CT spine · Sagittal slice 260/512 · the image spans 474 mm across · bone-window reconstruction
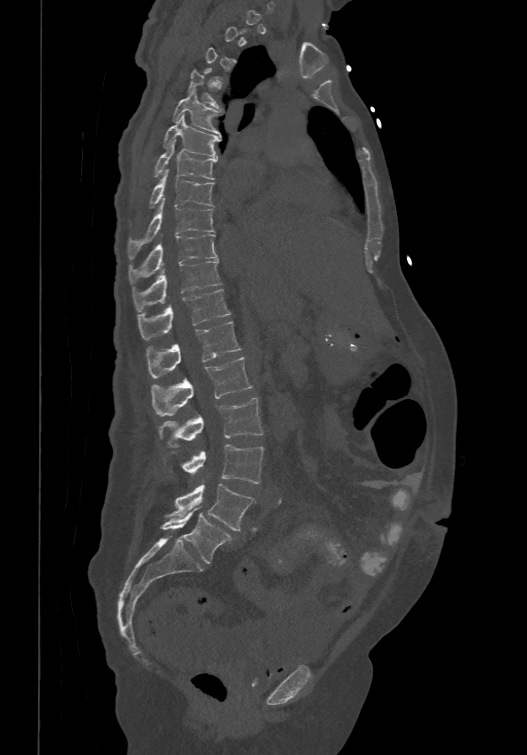

Each vertebra is boxed only on the slices from the first to the last where its cross-section reaches a third of its largest, so a slice outside that range leaves it unboxed.
The labels name a sixth lumbar vertebra for this spine: L6, after L5.
<vertebrae><v name="L6" x1="159" y1="506" x2="231" y2="563"/><v name="L5" x1="168" y1="484" x2="255" y2="531"/><v name="L4" x1="165" y1="444" x2="263" y2="483"/><v name="L3" x1="158" y1="397" x2="262" y2="446"/><v name="L2" x1="151" y1="356" x2="252" y2="415"/><v name="L1" x1="145" y1="320" x2="241" y2="378"/><v name="T12" x1="138" y1="288" x2="230" y2="339"/><v name="T11" x1="132" y1="260" x2="221" y2="311"/><v name="T10" x1="129" y1="233" x2="218" y2="283"/><v name="T9" x1="128" y1="197" x2="215" y2="259"/><v name="T8" x1="150" y1="168" x2="215" y2="206"/><v name="T7" x1="154" y1="140" x2="217" y2="177"/><v name="T6" x1="164" y1="113" x2="220" y2="157"/><v name="T5" x1="172" y1="90" x2="220" y2="135"/><v name="T4" x1="188" y1="67" x2="221" y2="109"/></vertebrae>